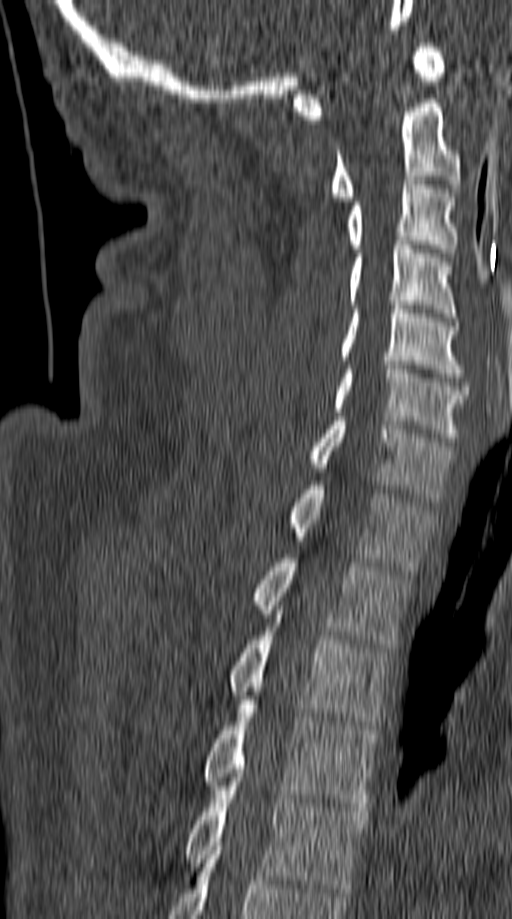
Spine computed tomography — sagittal reformat — 512x919 px — the image spans 149 mm across. Boxes: x1:y1:x2:y2 in pixels.
Vertebra bounding boxes:
- C1: 294:43:446:119
- C2: 328:99:461:201
- C3: 345:180:457:257
- C4: 348:241:457:321
- C5: 338:301:464:377
- C6: 331:361:468:441
- C7: 307:417:454:502
- T1: 286:481:433:570
- T2: 252:558:409:648
- T3: 228:614:389:729
- T4: 201:700:378:811
- T5: 183:777:366:892